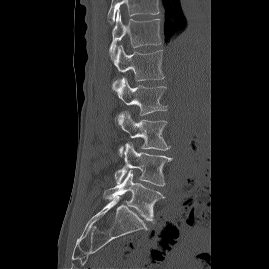
Spine CT — sagittal reformat — bone window. Boxes are given in columns x1, y1, x2, y2, the pixel coordinates of their top-left and bottom-right corners.
In this scan, the topmost labeled vertebra is T12 and the lowest is L5.
| vertebra | x1 | y1 | x2 | y2 |
|---|---|---|---|---|
| T12 | 109 | 11 | 161 | 60 |
| L1 | 112 | 45 | 164 | 90 |
| L2 | 115 | 77 | 167 | 115 |
| L3 | 117 | 111 | 170 | 156 |
| L4 | 114 | 142 | 172 | 186 |
| L5 | 103 | 170 | 164 | 222 |